CT, spine. sagittal view. bone window
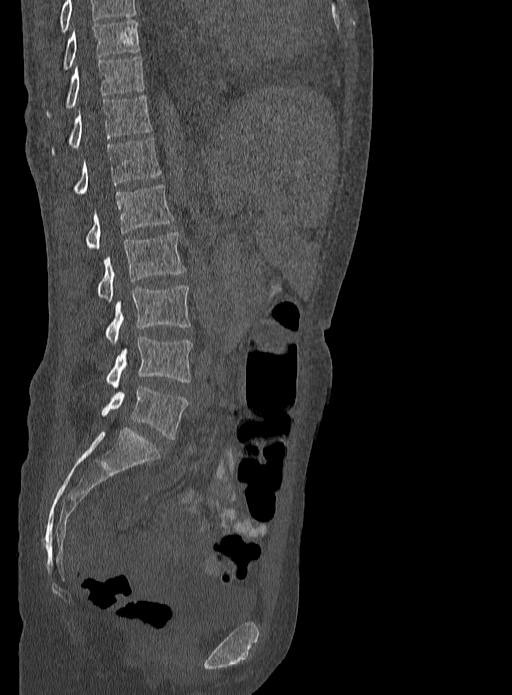

Each box given as x1,y1,x2,y2.
The highest labeled vertebra in this scan is T9; the lowest is L5.
T9: x1=61, y1=20, x2=140, y2=71
T10: x1=46, y1=57, x2=143, y2=119
T11: x1=50, y1=95, x2=151, y2=154
T12: x1=72, y1=138, x2=162, y2=193
L1: x1=86, y1=185, x2=174, y2=248
L2: x1=97, y1=232, x2=185, y2=300
L3: x1=104, y1=284, x2=191, y2=342
L4: x1=106, y1=337, x2=192, y2=388
L5: x1=101, y1=386, x2=188, y2=439